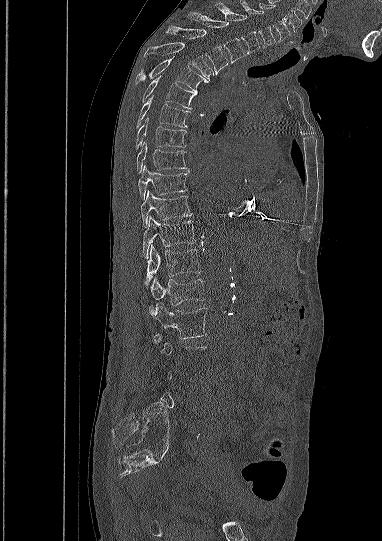
CT, spine. sagittal view. Bone window (WL 400, WW 1800). 382 mm wide
Each vertebra is boxed only on the slices from the first to the last where its cross-section reaches a third of its largest, so a slice outside that range leaves it unboxed.
<vertebrae><v name="C5" x1="259" y1="3" x2="290" y2="41"/><v name="C6" x1="240" y1="0" x2="275" y2="47"/><v name="C7" x1="215" y1="2" x2="260" y2="53"/><v name="T1" x1="188" y1="12" x2="244" y2="62"/><v name="T2" x1="166" y1="25" x2="228" y2="74"/><v name="T3" x1="144" y1="42" x2="213" y2="80"/><v name="T4" x1="134" y1="56" x2="208" y2="94"/><v name="T5" x1="142" y1="76" x2="195" y2="109"/><v name="T6" x1="136" y1="98" x2="189" y2="127"/><v name="T7" x1="136" y1="118" x2="186" y2="149"/><v name="T8" x1="136" y1="141" x2="186" y2="173"/><v name="T9" x1="138" y1="165" x2="187" y2="199"/><v name="T10" x1="140" y1="191" x2="192" y2="227"/><v name="T11" x1="142" y1="216" x2="195" y2="258"/><v name="T12" x1="145" y1="244" x2="201" y2="288"/><v name="L1" x1="151" y1="277" x2="205" y2="305"/><v name="L2" x1="149" y1="303" x2="207" y2="338"/></vertebrae>